CT. sagittal view. W/L 1800/400 HU
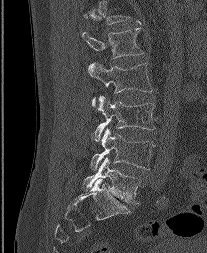
Columns x1, y1, x2, y2 give each box's top-left and bottom-right pixels.
This scan's labels start at L1 at the top and end at L5 at the bottom.
| vertebra | x1 | y1 | x2 | y2 |
|---|---|---|---|---|
| L1 | 82 | 28 | 143 | 58 |
| L2 | 88 | 63 | 152 | 104 |
| L3 | 93 | 96 | 155 | 141 |
| L4 | 90 | 128 | 155 | 170 |
| L5 | 84 | 157 | 140 | 203 |